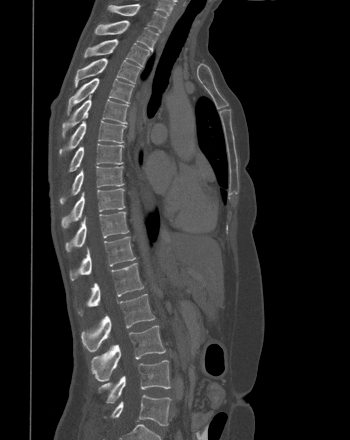 CT — sagittal reformat — W/L 1800/400 HU
In the table, x1 and y1 are a box's top-left corner and x2 and y2 its bottom-right corner, in pixels.
| vertebra | x1 | y1 | x2 | y2 |
|---|---|---|---|---|
| T1 | 108 | 4 | 166 | 32 |
| T2 | 95 | 20 | 158 | 51 |
| T3 | 84 | 39 | 149 | 65 |
| T4 | 74 | 58 | 140 | 86 |
| T5 | 67 | 78 | 134 | 114 |
| T6 | 62 | 97 | 128 | 137 |
| T7 | 59 | 121 | 126 | 155 |
| T8 | 69 | 143 | 123 | 171 |
| T9 | 60 | 166 | 124 | 204 |
| T10 | 61 | 188 | 125 | 228 |
| T11 | 65 | 211 | 128 | 252 |
| T12 | 70 | 236 | 135 | 280 |
| L1 | 78 | 263 | 144 | 315 |
| L2 | 81 | 294 | 155 | 351 |
| L3 | 91 | 325 | 165 | 381 |
| L4 | 98 | 360 | 170 | 403 |
| L5 | 105 | 395 | 170 | 426 |